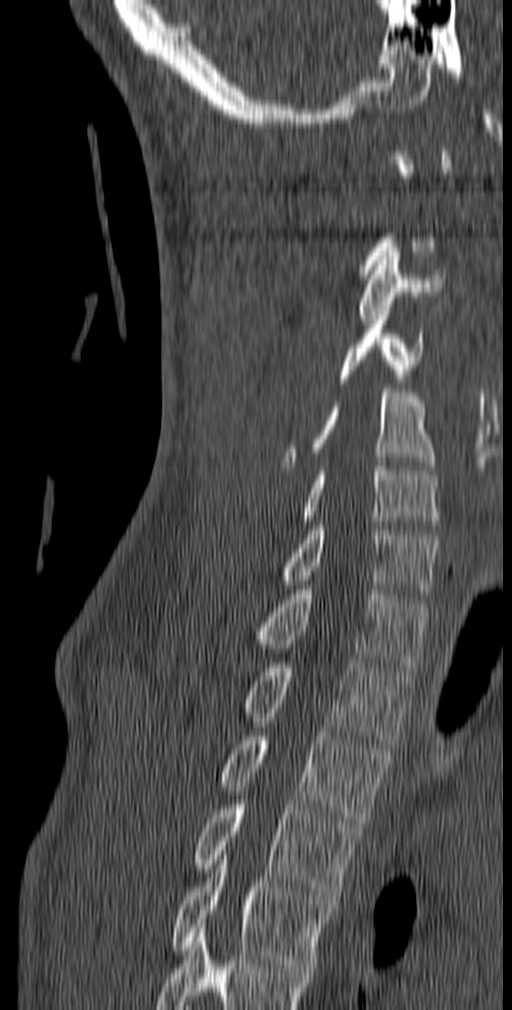

Spine computed tomography — image 140 mm wide — sagittal view — W/L 1800/400 HU — 512x1010 px
Box edges are left/top/right/bottom in pixels.
Not every vertebra on this slice has a box: a vertebra is boxed only from the first to the last slice where its cross-section is at least a third of its largest, and this slice is outside that range for at least one of them.
In this scan, the topmost labeled vertebra is C1 and the lowest is T5.
| vertebra | x1 | y1 | x2 | y2 |
|---|---|---|---|---|
| C3 | 358 | 247 | 445 | 324 |
| C4 | 338 | 306 | 423 | 383 |
| C5 | 280 | 389 | 436 | 470 |
| C6 | 304 | 462 | 439 | 529 |
| C7 | 281 | 521 | 438 | 598 |
| T1 | 255 | 585 | 427 | 671 |
| T2 | 243 | 658 | 412 | 744 |
| T3 | 221 | 731 | 390 | 826 |
| T4 | 195 | 800 | 362 | 900 |
| T5 | 171 | 850 | 329 | 968 |